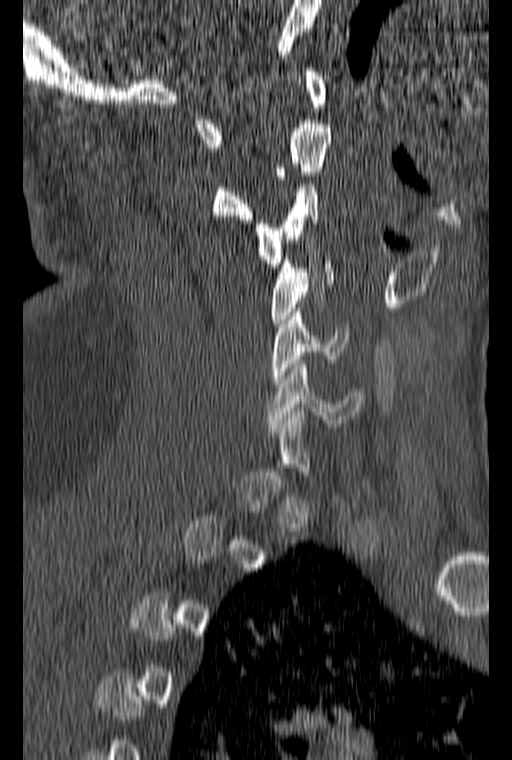 CT, spine. sagittal view. 512x760 px
Box edges are left/top/right/bottom in pixels.
Not every vertebra on this slice has a box: a vertebra is boxed only from the first to the last slice where its cross-section is at least a third of its largest, and this slice is outside that range for at least one of them.
| vertebra | x1 | y1 | x2 | y2 |
|---|---|---|---|---|
| C1 | 196 | 68 | 326 | 147 |
| C2 | 212 | 124 | 330 | 223 |
| C3 | 253 | 176 | 319 | 267 |
| C4 | 271 | 256 | 333 | 323 |
| C5 | 271 | 308 | 348 | 387 |
| C6 | 266 | 356 | 362 | 427 |